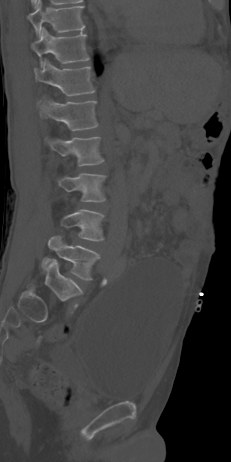 CT, spine; sagittal view; 231x462 px; the image is 231 mm wide
Each row gives a vertebra's box as x1, y1, x2, y2 in pixels: top-left corner, then bottom-right corner.
| vertebra | x1 | y1 | x2 | y2 |
|---|---|---|---|---|
| L5 | 42 | 235 | 100 | 280 |
| L4 | 61 | 209 | 104 | 241 |
| L3 | 57 | 173 | 106 | 202 |
| L2 | 45 | 136 | 104 | 166 |
| L1 | 38 | 97 | 98 | 131 |
| T12 | 34 | 58 | 95 | 96 |
| T11 | 31 | 28 | 89 | 66 |
| T10 | 27 | 1 | 84 | 35 |